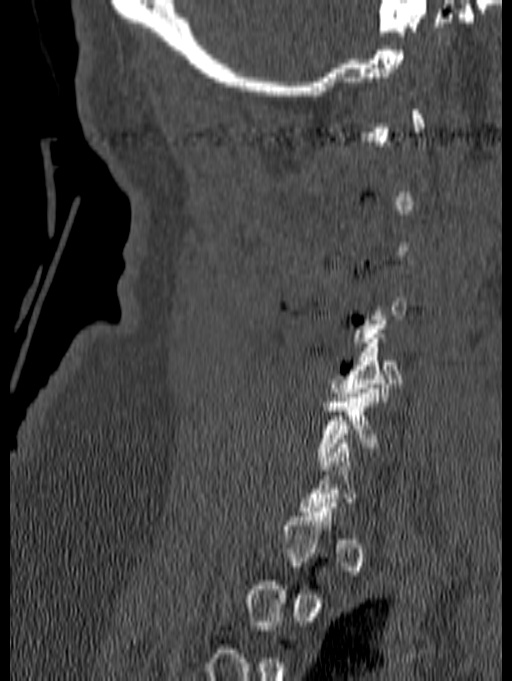

CT, spine; sagittal reformat; 140 mm across the image; bone window
Bounding boxes as [x1, y1, x2, y2] in pixel coordinates.
A vertebra gets a box only on the slices from the first to the last where its cross-section is at least a third of its largest; on a slice outside that range it gets none.
C5: [328, 334, 401, 401]
C6: [316, 384, 415, 465]